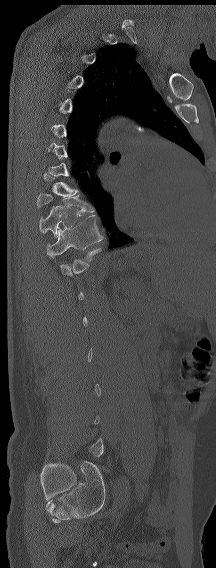
Computed tomography of the spine. sagittal view. 216x568 px

A vertebra is boxed only from the first to the last slice where its cross-section is at least a third of its largest; slices outside that range leave it without a box.
<vertebrae><v name="T9" x1="37" y1="194" x2="94" y2="212"/><v name="T10" x1="39" y1="206" x2="80" y2="236"/><v name="T11" x1="47" y1="215" x2="103" y2="257"/></vertebrae>